CT spine · 312 mm image width · Sagittal slice 162/312 · 312x497 px
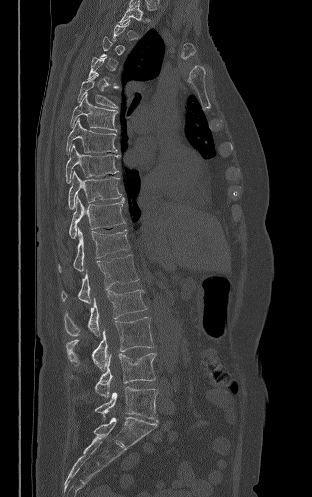

Box edges are left/top/right/bottom in pixels.
Not every vertebra on this slice has a box: a vertebra is boxed only from the first to the last slice where its cross-section is at least a third of its largest, and this slice is outside that range for at least one of them.
| vertebra | x1 | y1 | x2 | y2 |
|---|---|---|---|---|
| T2 | 119 | 2 | 143 | 24 |
| T6 | 78 | 73 | 118 | 107 |
| T7 | 70 | 92 | 117 | 131 |
| T8 | 66 | 118 | 117 | 154 |
| T9 | 65 | 144 | 118 | 183 |
| T10 | 68 | 171 | 123 | 209 |
| T11 | 69 | 196 | 125 | 238 |
| T12 | 58 | 227 | 130 | 272 |
| L1 | 61 | 254 | 138 | 304 |
| L2 | 64 | 289 | 147 | 336 |
| L3 | 66 | 317 | 154 | 370 |
| L4 | 95 | 353 | 156 | 397 |
| L5 | 95 | 387 | 157 | 420 |